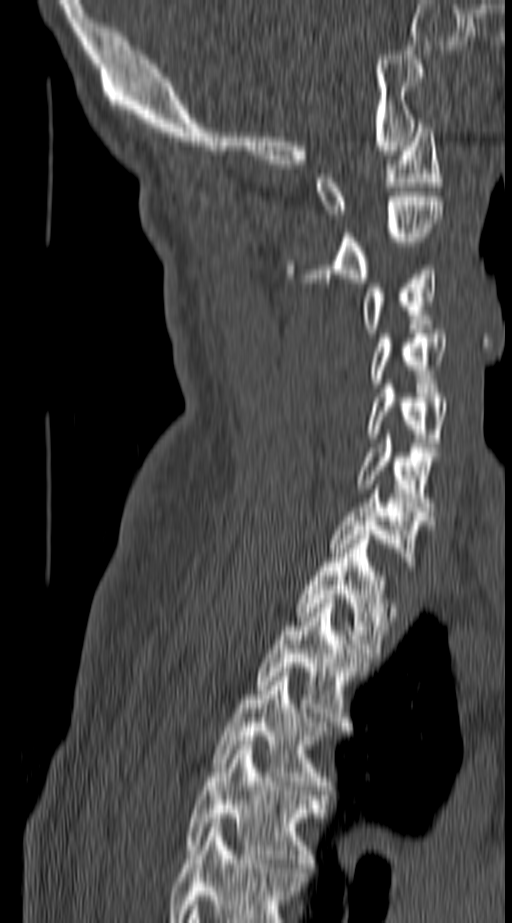
CT spine. sagittal view. the image spans 140 mm across. bone-window reconstruction. 512x923 px

In this scan, the topmost labeled vertebra is C1 and the lowest is T4.
<vertebrae><v name="C1" x1="316" y1="123" x2="441" y2="218"/><v name="C2" x1="287" y1="197" x2="443" y2="282"/><v name="C3" x1="360" y1="265" x2="436" y2="333"/><v name="C4" x1="371" y1="329" x2="447" y2="383"/><v name="C5" x1="367" y1="384" x2="447" y2="447"/><v name="C6" x1="356" y1="434" x2="440" y2="511"/><v name="C7" x1="330" y1="485" x2="432" y2="566"/><v name="T1" x1="297" y1="535" x2="393" y2="657"/><v name="T2" x1="257" y1="599" x2="366" y2="726"/><v name="T3" x1="213" y1="672" x2="329" y2="790"/><v name="T4" x1="184" y1="741" x2="322" y2="872"/></vertebrae>